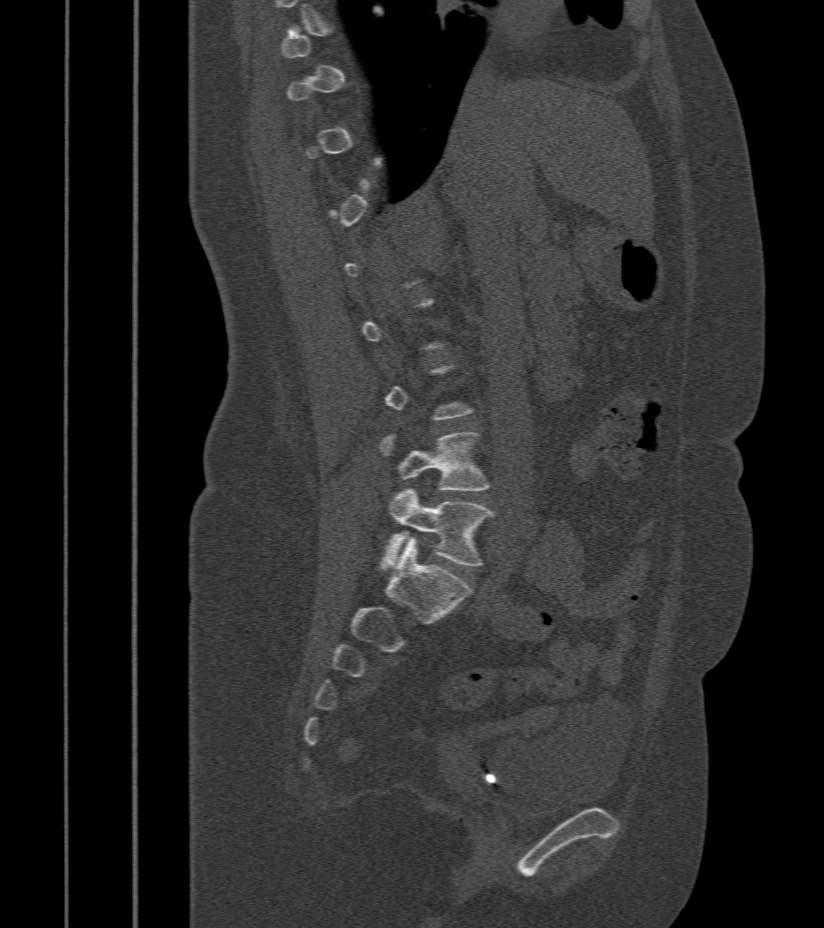
Spine computed tomography — sagittal reformat — Bone window (WL 400, WW 1800). Box edges are left/top/right/bottom in pixels.
Each vertebra is boxed only on the slices from the first to the last where its cross-section reaches a third of its largest, so a slice outside that range leaves it unboxed.
| vertebra | x1 | y1 | x2 | y2 |
|---|---|---|---|---|
| L4 | 380 | 433 | 488 | 490 |
| L5 | 381 | 489 | 493 | 570 |